CT; sagittal reformat; some of the image was removed or blocked out with constant pixels
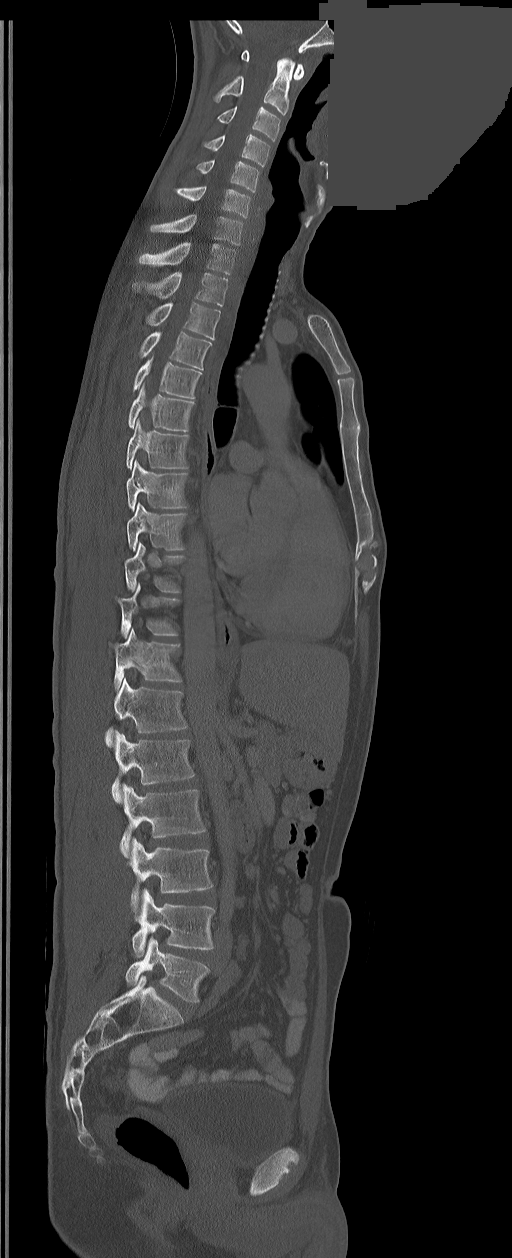 Box edges are left/top/right/bottom in pixels.
In these labels the spine has an L6, a sixth lumbar vertebra below L5.
| vertebra | x1 | y1 | x2 | y2 |
|---|---|---|---|---|
| L6 | 126 | 936 | 208 | 1003 |
| L5 | 132 | 890 | 214 | 957 |
| L4 | 130 | 838 | 213 | 911 |
| L3 | 120 | 784 | 205 | 856 |
| L2 | 111 | 732 | 194 | 802 |
| L1 | 106 | 678 | 186 | 745 |
| T12 | 113 | 628 | 181 | 688 |
| T11 | 117 | 584 | 179 | 637 |
| T10 | 125 | 541 | 184 | 592 |
| T9 | 126 | 503 | 185 | 551 |
| T8 | 126 | 461 | 186 | 510 |
| T7 | 126 | 418 | 188 | 469 |
| T6 | 128 | 385 | 194 | 431 |
| T5 | 133 | 357 | 202 | 399 |
| T4 | 139 | 332 | 211 | 369 |
| T3 | 147 | 303 | 220 | 339 |
| T2 | 132 | 272 | 227 | 306 |
| T1 | 139 | 242 | 235 | 274 |
| C7 | 151 | 214 | 242 | 245 |
| C6 | 176 | 186 | 249 | 217 |
| C5 | 198 | 160 | 258 | 192 |
| C4 | 204 | 135 | 270 | 166 |
| C3 | 217 | 107 | 280 | 141 |
| C2 | 214 | 58 | 295 | 115 |
| C1 | 241 | 50 | 304 | 80 |